CT; 140 mm wide; sagittal view; Bone window (WL 400, WW 1800); 512x782 px
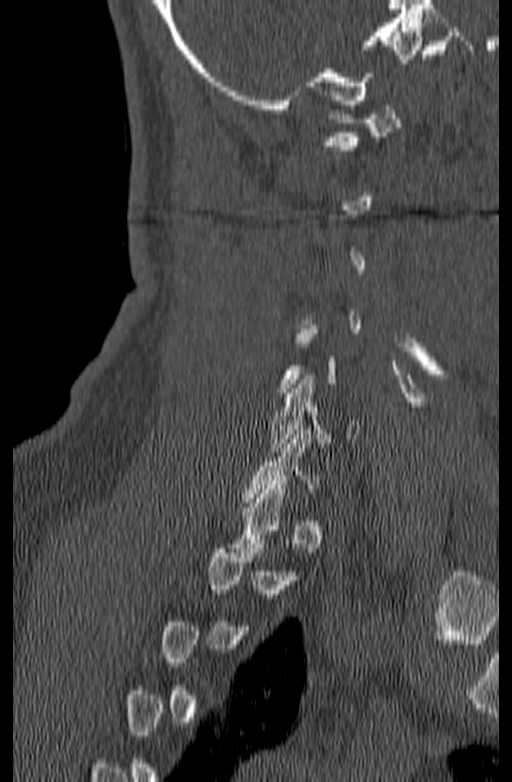
Each box given as x1,y1,x2,y2.
A vertebra gets a box only on the slices from the first to the last where its cross-section is at least a third of its largest; on a slice outside that range it gets none.
C1: x1=324, y1=105, x2=402, y2=150
C6: x1=269, y1=375, x2=358, y2=452